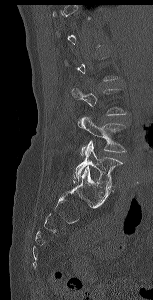 Spine computed tomography; 153 mm across the image; sagittal view

Not every vertebra on this slice has a box: a vertebra is boxed only from the first to the last slice where its cross-section is at least a third of its largest, and this slice is outside that range for at least one of them.
<vertebrae><v name="L4" x1="78" y1="116" x2="126" y2="155"/><v name="L5" x1="73" y1="141" x2="122" y2="188"/></vertebrae>